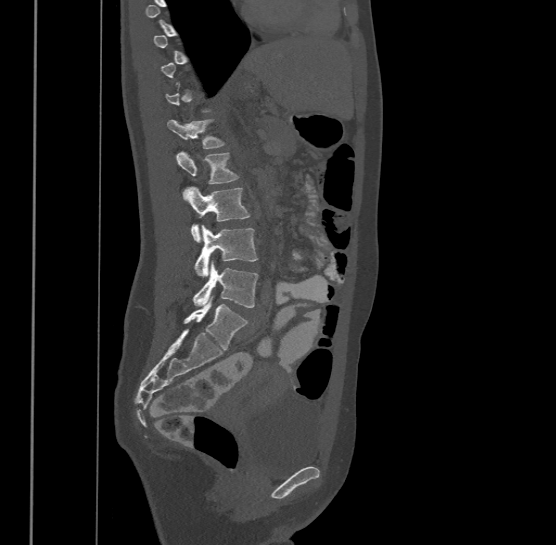
CT — image 500 mm wide — sagittal reformat
Each box given as x1,y1,x2,y2.
Each vertebra is boxed only on the slices from the first to the last where its cross-section reaches a third of its largest, so a slice outside that range leaves it unboxed.
This scan's labels start at T9 at the top and end at L4 at the bottom.
| vertebra | x1 | y1 | x2 | y2 |
|---|---|---|---|---|
| T12 | 167 | 117 | 226 | 148 |
| L1 | 177 | 150 | 239 | 192 |
| L2 | 186 | 186 | 250 | 241 |
| L3 | 194 | 225 | 258 | 276 |
| L4 | 193 | 261 | 258 | 307 |